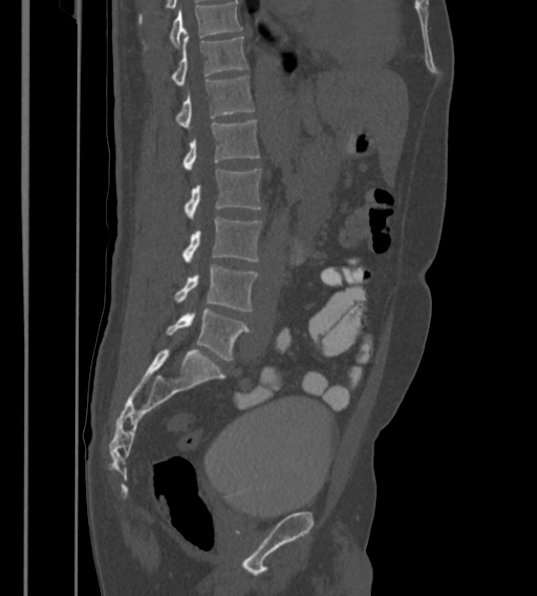

Computed tomography of the spine; image 430 mm wide; sagittal reformat

Each box is [x1, y1, x2, y2] in pixels: top-left corner, then bottom-right corner.
The highest labeled vertebra in this scan is T12; the lowest is L6.
The labels name a sixth lumbar vertebra for this spine: L6, after L5.
{"vertebrae":{"T12":[171,36,248,85],"L1":[175,75,254,128],"L2":[181,120,259,170],"L3":[184,169,261,218],"L4":[182,216,261,261],"L5":[175,265,258,311],"L6":[166,309,249,360]}}